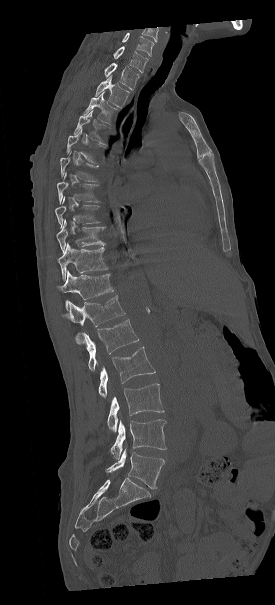

CT spine. sagittal view. 275 mm across the image. bone window

Boxes: x1 y1 x2 y2 (pixel coords, space-separated).
The highest labeled vertebra in this scan is C7; the lowest is L5.
Vertebra bounding boxes:
- C7: 112 46 148 72
- T1: 104 62 139 90
- T2: 95 75 131 107
- T3: 84 91 119 126
- T4: 74 109 112 144
- T5: 66 128 106 164
- T6: 60 150 100 182
- T7: 57 172 101 203
- T8: 55 197 101 227
- T9: 57 220 104 251
- T10: 58 243 108 279
- T11: 57 271 114 309
- T12: 62 296 125 326
- L1: 76 319 138 371
- L2: 98 347 155 398
- L3: 107 383 164 432
- L4: 110 419 166 458
- L5: 106 450 164 488